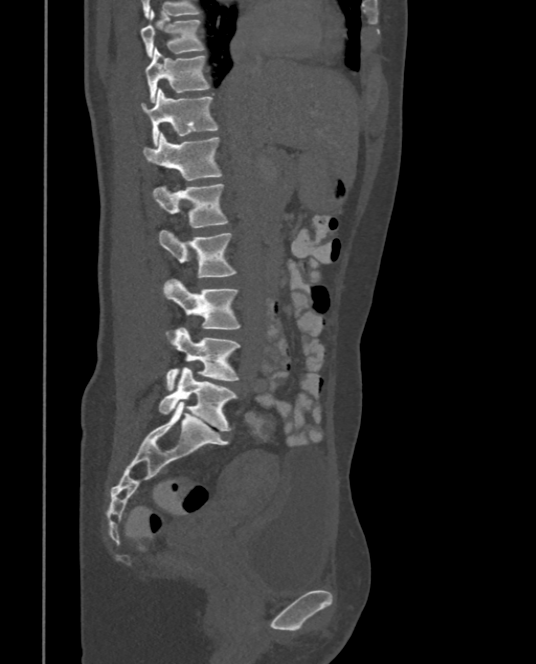
CT spine; sagittal view; bone-window reconstruction
<vertebrae><v name="T9" x1="141" y1="10" x2="204" y2="57"/><v name="T10" x1="145" y1="47" x2="210" y2="102"/><v name="T11" x1="142" y1="88" x2="219" y2="145"/><v name="T12" x1="142" y1="133" x2="223" y2="180"/><v name="L1" x1="153" y1="184" x2="229" y2="227"/><v name="L2" x1="158" y1="230" x2="235" y2="277"/><v name="L3" x1="164" y1="278" x2="241" y2="333"/><v name="L4" x1="165" y1="327" x2="241" y2="390"/><v name="L5" x1="158" y1="367" x2="238" y2="430"/></vertebrae>